Computed tomography of the spine — sagittal plane, index 249 — Bone window (WL 400, WW 1800)
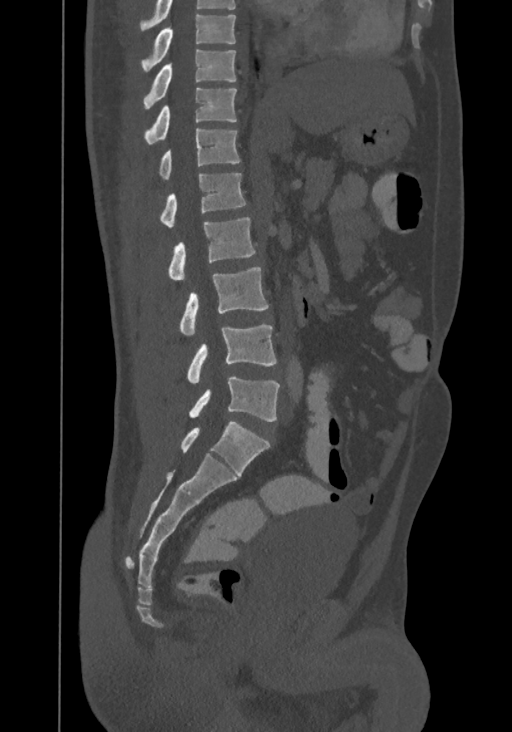

Columns x1, y1, x2, y2 give each box's top-left and bottom-right pixels.
In this scan, the topmost labeled vertebra is T8 and the lowest is L4.
| vertebra | x1 | y1 | x2 | y2 |
|---|---|---|---|---|
| L4 | 188 | 377 | 279 | 421 |
| L3 | 187 | 325 | 276 | 383 |
| L2 | 180 | 267 | 268 | 335 |
| L1 | 169 | 217 | 255 | 280 |
| T12 | 160 | 173 | 246 | 228 |
| T11 | 159 | 128 | 240 | 179 |
| T10 | 143 | 88 | 236 | 143 |
| T9 | 143 | 49 | 236 | 109 |
| T8 | 141 | 14 | 236 | 72 |